CT spine. sagittal reformat. bone window. 500 mm across the image
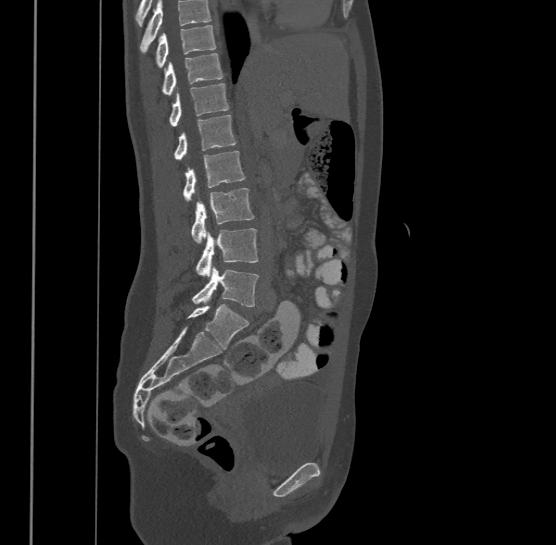
Box edges are left/top/right/bottom in pixels.
A vertebra cut off by the top edge of the scan is not labeled and has no box.
This scan's labels start at T9 at the top and end at L4 at the bottom.
| vertebra | x1 | y1 | x2 | y2 |
|---|---|---|---|---|
| L4 | 192 | 265 | 258 | 306 |
| L3 | 195 | 228 | 258 | 276 |
| L2 | 191 | 188 | 253 | 242 |
| L1 | 183 | 150 | 244 | 200 |
| T12 | 175 | 114 | 236 | 159 |
| T11 | 169 | 83 | 229 | 126 |
| T10 | 162 | 53 | 223 | 94 |
| T9 | 155 | 25 | 216 | 66 |